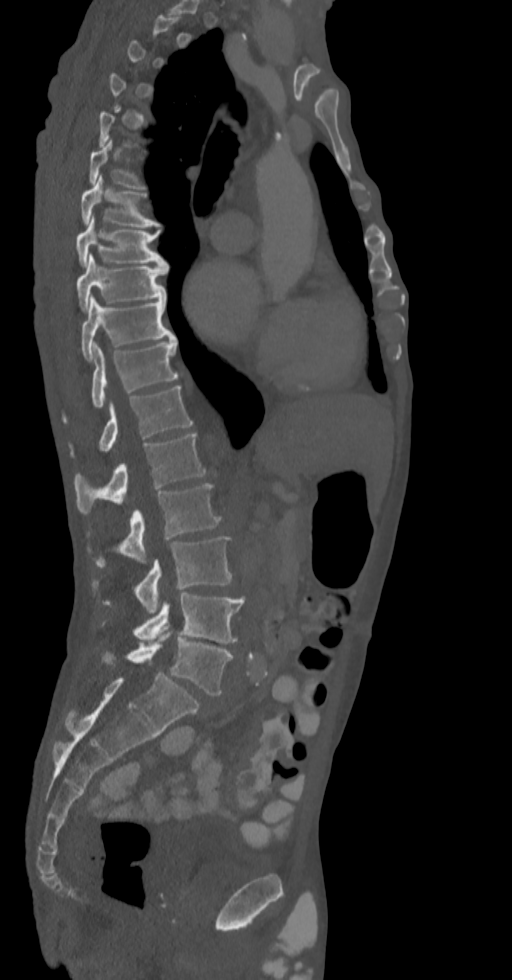
Computed tomography of the spine — sagittal view. Coordinates as <box>x1,y1,x2,y2</box>.
Not every vertebra on this slice has a box: a vertebra is boxed only from the first to the last slice where its cross-section is at least a third of its largest, and this slice is outside that range for at least one of them.
Vertebra bounding boxes:
- T6: <box>88,139,145,188</box>
- T7: <box>80,174,159,226</box>
- T8: <box>76,215,166,266</box>
- T9: <box>76,253,168,310</box>
- T10: <box>80,296,175,360</box>
- T11: <box>62,338,179,423</box>
- T12: <box>68,386,192,458</box>
- L1: <box>74,433,206,514</box>
- L2: <box>87,483,221,567</box>
- L3: <box>91,536,232,613</box>
- L4: <box>100,593,244,644</box>
- L5: <box>102,629,233,695</box>